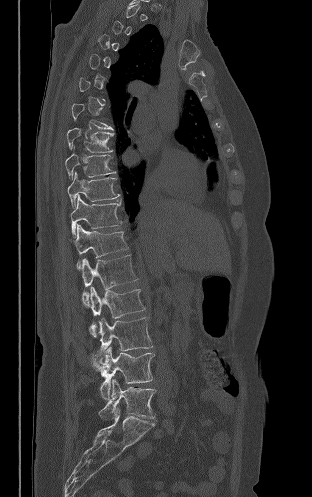

CT, spine · sagittal view · bone window
Each vertebra is boxed only on the slices from the first to the last where its cross-section reaches a third of its largest, so a slice outside that range leaves it unboxed.
<vertebrae><v name="T8" x1="67" y1="128" x2="113" y2="152"/><v name="T9" x1="65" y1="146" x2="115" y2="178"/><v name="T10" x1="67" y1="172" x2="120" y2="207"/><v name="T11" x1="70" y1="195" x2="122" y2="237"/><v name="T12" x1="71" y1="224" x2="128" y2="270"/><v name="L1" x1="82" y1="255" x2="137" y2="306"/><v name="L2" x1="90" y1="286" x2="145" y2="337"/><v name="L3" x1="98" y1="317" x2="153" y2="351"/><v name="L4" x1="93" y1="346" x2="154" y2="399"/><v name="L5" x1="99" y1="379" x2="155" y2="419"/></vertebrae>